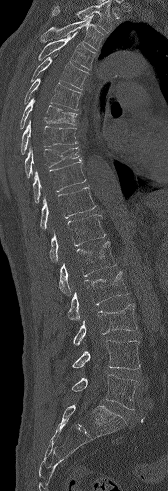 CT; sagittal view
Bounding boxes as [x1, y1, x2, y2] in pixel coordinates.
Vertebrae that run past the top of the scan are left unlabeled.
Vertebra bounding boxes:
- T3: [40, 15, 105, 51]
- T4: [38, 31, 96, 70]
- T5: [30, 54, 89, 90]
- T6: [24, 78, 82, 110]
- T7: [20, 98, 77, 128]
- T8: [21, 120, 77, 154]
- T9: [24, 147, 81, 177]
- T10: [33, 161, 86, 203]
- T11: [40, 187, 96, 229]
- T12: [49, 214, 105, 262]
- L1: [59, 241, 116, 295]
- L2: [67, 271, 128, 320]
- L3: [73, 303, 137, 345]
- L4: [72, 340, 140, 369]
- L5: [71, 374, 138, 410]